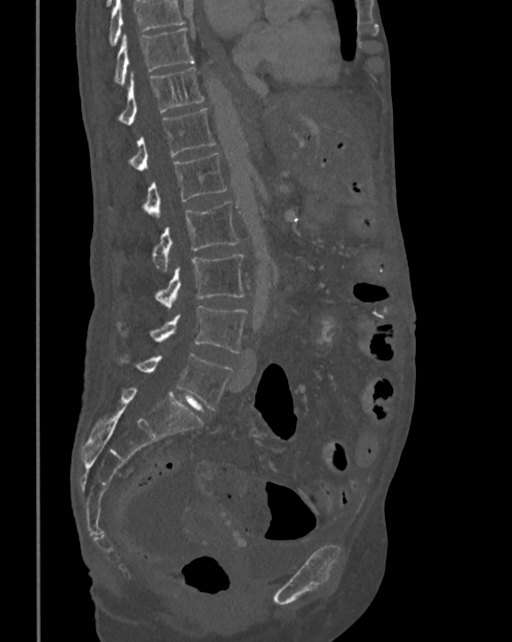 CT spine · sagittal view · Bone window (WL 400, WW 1800). Boxes: x1:y1:x2:y2 in pixels.
Where the top of the scan cuts through a vertebra, that vertebra gets no label or box.
Vertebra bounding boxes:
- T10: 114:27:193:86
- T11: 117:68:204:125
- T12: 128:108:214:170
- L1: 142:153:226:215
- L2: 151:201:240:270
- L3: 154:254:244:308
- L4: 118:306:247:353
- L5: 117:354:232:410